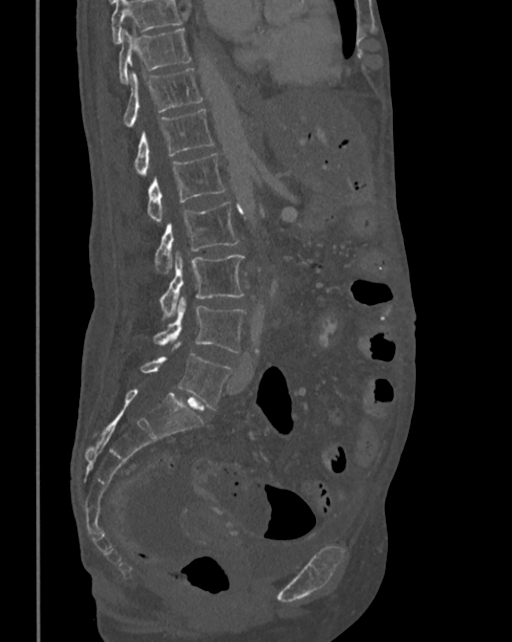
CT, spine — sagittal view — bone-window reconstruction — 512x642 px. Box edges are left/top/right/bottom in pixels.
No box is given to a vertebra that the top edge of the scan cuts off.
| vertebra | x1 | y1 | x2 | y2 |
|---|---|---|---|---|
| T10 | 118 | 28 | 190 | 83 |
| T11 | 123 | 68 | 204 | 127 |
| T12 | 134 | 108 | 214 | 176 |
| L1 | 146 | 153 | 226 | 222 |
| L2 | 154 | 202 | 240 | 274 |
| L3 | 160 | 252 | 244 | 317 |
| L4 | 154 | 297 | 246 | 353 |
| L5 | 140 | 342 | 231 | 410 |